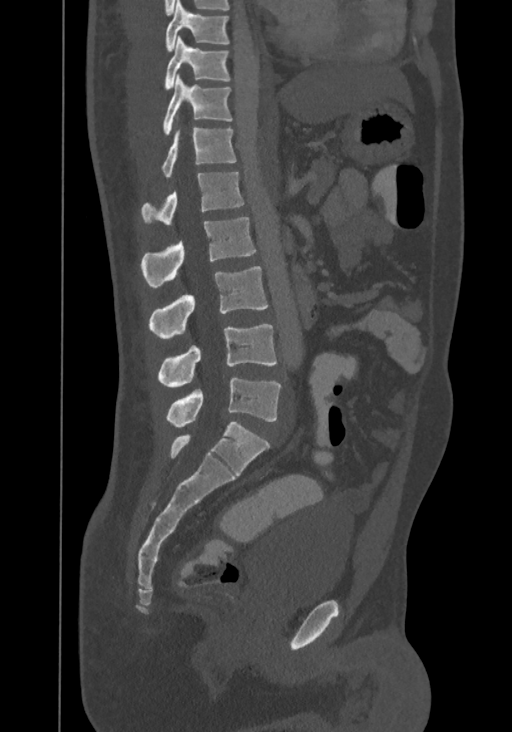 Computed tomography of the spine · sagittal view · 367 mm wide

In the table, x1 and y1 are a box's top-left corner and x2 and y2 its bottom-right corner, in pixels.
The highest labeled vertebra in this scan is T8; the lowest is L4.
| vertebra | x1 | y1 | x2 | y2 |
|---|---|---|---|---|
| T8 | 164 | 0 | 229 | 52 |
| T9 | 163 | 36 | 230 | 91 |
| T10 | 162 | 75 | 232 | 136 |
| T11 | 162 | 127 | 236 | 177 |
| T12 | 141 | 171 | 244 | 225 |
| L1 | 141 | 217 | 255 | 288 |
| L2 | 149 | 266 | 268 | 339 |
| L3 | 157 | 324 | 276 | 387 |
| L4 | 166 | 378 | 281 | 427 |